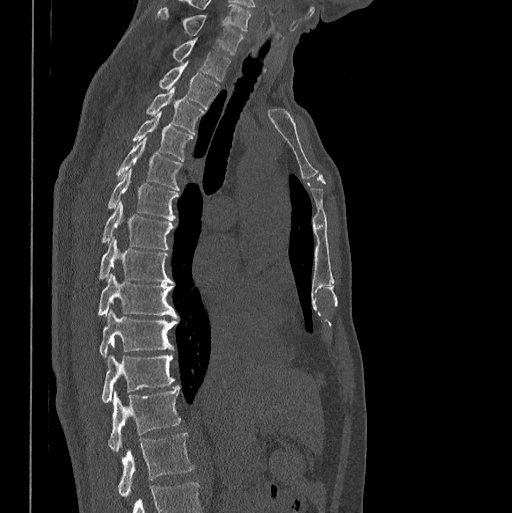 CT spine. sagittal view. bone window. 398 mm across the image
Each box is [x1, y1, x2, y2] in pixels: top-left corner, then bottom-right corner.
This scan's labels start at C7 at the top and end at L1 at the bottom.
{"vertebrae":{"C7":[158,7,243,56],"T1":[172,38,229,81],"T2":[159,61,219,108],"T3":[147,87,203,133],"T4":[132,111,192,161],"T5":[117,138,182,189],"T6":[108,168,178,220],"T7":[101,201,174,249],"T8":[99,236,173,283],"T9":[99,273,178,319],"T10":[100,309,178,358],"T11":[101,344,174,403],"T12":[108,386,180,452],"L1":[118,433,194,498]}}